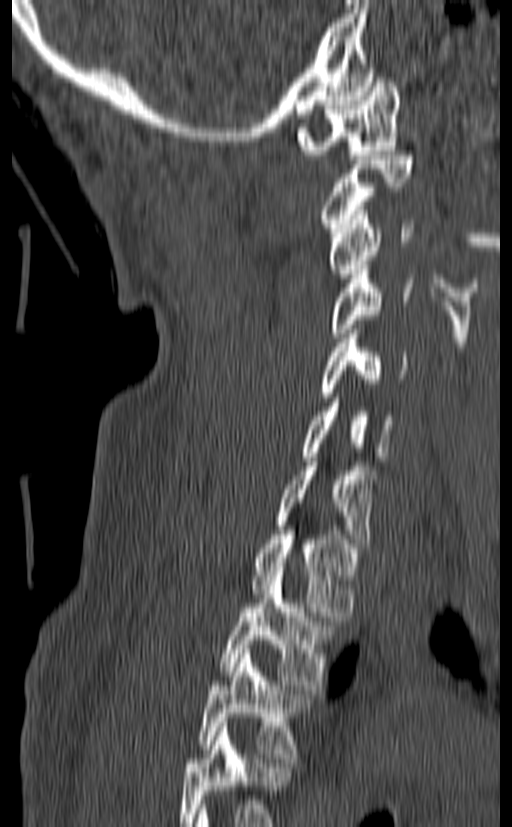
Spine computed tomography. sagittal view. bone-window reconstruction. 512x827 px. Each row gives a vertebra's box as x1, y1, x2, y2 in pixels: top-left corner, then bottom-right corner.
The highest labeled vertebra in this scan is C1; the lowest is T3.
| vertebra | x1 | y1 | x2 | y2 |
|---|---|---|---|---|
| T3 | 198 | 649 | 310 | 762 |
| T2 | 219 | 571 | 335 | 689 |
| T1 | 252 | 530 | 358 | 616 |
| C7 | 276 | 457 | 375 | 548 |
| C6 | 301 | 398 | 395 | 461 |
| C5 | 320 | 329 | 410 | 397 |
| C4 | 330 | 265 | 413 | 337 |
| C3 | 329 | 206 | 414 | 278 |
| C2 | 320 | 155 | 414 | 232 |
| C1 | 297 | 73 | 400 | 159 |